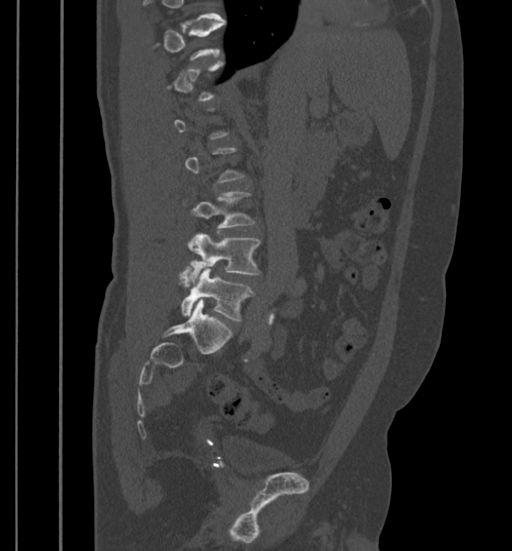 Spine CT — sagittal reformat — 512x551 px

Each box is [x1, y1, x2, y2] in pixels: top-left corner, then bottom-right corner.
A vertebra is boxed only from the first to the last slice where its cross-section is at least a third of its largest; slices outside that range leave it without a box.
{"vertebrae":{"L5":[179,266,254,320],"L4":[187,233,261,283],"L3":[183,191,255,230]}}